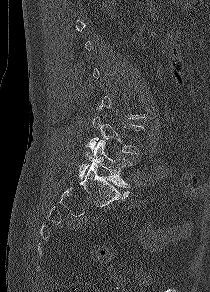
CT, spine — sagittal reformat — Bone window (WL 400, WW 1800) — 210x292 px
Box edges are left/top/right/bottom in pixels.
A vertebra is boxed only from the first to the last slice where its cross-section is at least a third of its largest; slices outside that range leave it without a box.
Vertebra bounding boxes:
- L4: left=87, top=116, right=143, bottom=153
- L5: left=79, top=140, right=132, bottom=188